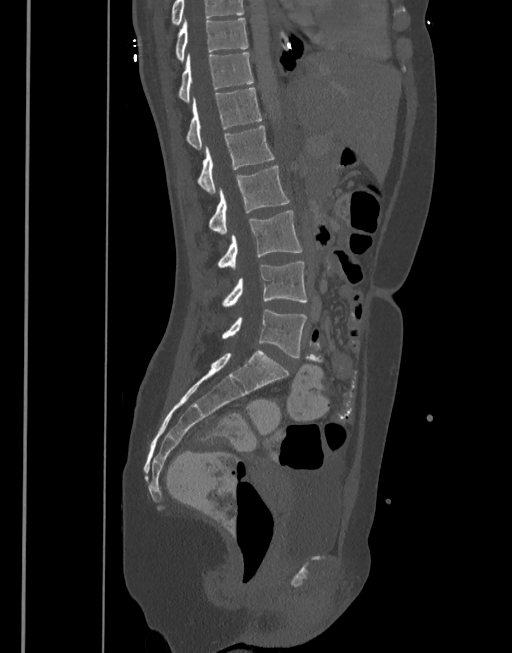

Spine computed tomography — sagittal view — bone window — 512x653 px

Boxes: x1:y1:x2:y2 in pixels. Labels in this scan begin with T10 at the top and end with L5 at the bottom. Vertebrae labeled: T10 at 175:18:247:63, T11 at 178:53:253:102, T12 at 186:88:261:149, L1 at 197:126:275:193, L2 at 208:165:289:234, L3 at 217:210:302:268, L4 at 221:262:307:307, L5 at 221:309:307:357.